CT, spine · sagittal view · bone-window reconstruction · 197x180 px · a region of this slice is masked with a uniform fill
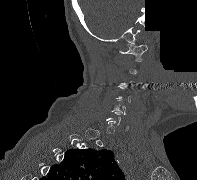 Each vertebra is boxed only on the slices from the first to the last where its cross-section reaches a third of its largest, so a slice outside that range leaves it unboxed.
<vertebrae><v name="C1" x1="119" y1="45" x2="147" y2="61"/><v name="C5" x1="112" y1="104" x2="125" y2="114"/></vertebrae>